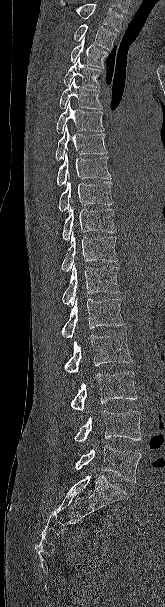 CT, spine — sagittal view — image width 165 mm — W/L 1800/400 HU — 165x607 px. Columns x1, y1, x2, y2 give each box's top-left and bottom-right pixels.
Vertebrae that run past the top of the scan are left unlabeled.
| vertebra | x1 | y1 | x2 | y2 |
|---|---|---|---|---|
| T2 | 74 | 24 | 116 | 49 |
| T3 | 70 | 37 | 108 | 68 |
| T4 | 63 | 56 | 101 | 87 |
| T5 | 59 | 79 | 102 | 109 |
| T6 | 56 | 101 | 104 | 133 |
| T7 | 55 | 125 | 107 | 160 |
| T8 | 56 | 153 | 110 | 185 |
| T9 | 58 | 175 | 113 | 211 |
| T10 | 62 | 206 | 116 | 240 |
| T11 | 61 | 231 | 117 | 272 |
| T12 | 62 | 264 | 120 | 306 |
| L1 | 61 | 298 | 124 | 338 |
| L2 | 64 | 332 | 132 | 373 |
| L3 | 70 | 371 | 137 | 411 |
| L4 | 74 | 411 | 141 | 444 |
| L5 | 75 | 445 | 141 | 482 |